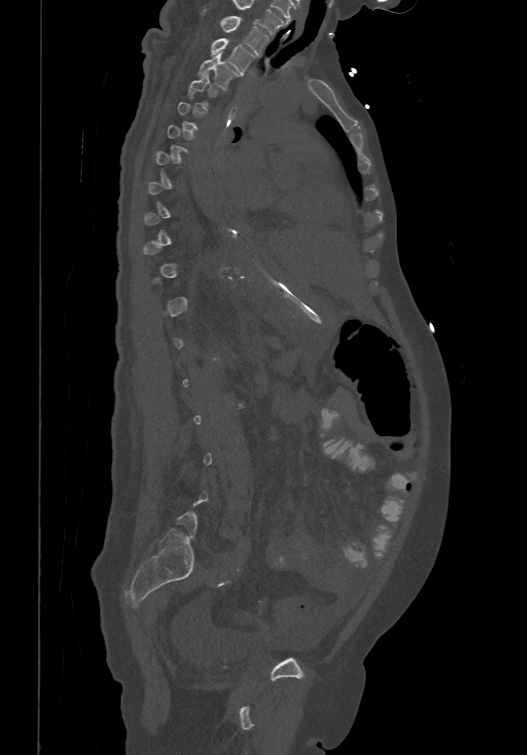 CT spine; sagittal view; bone window; 527x755 px
Boxes are (x1, y1, x2, y2) in pixels.
Each vertebra is boxed only on the slices from the first to the last where its cross-section reaches a third of its largest, so a slice outside that range leaves it unboxed.
Labels in this scan begin with T1 at the top and end with L6 at the bottom.
T1: (221, 15, 269, 54)
T2: (211, 37, 255, 74)
T3: (198, 52, 238, 89)